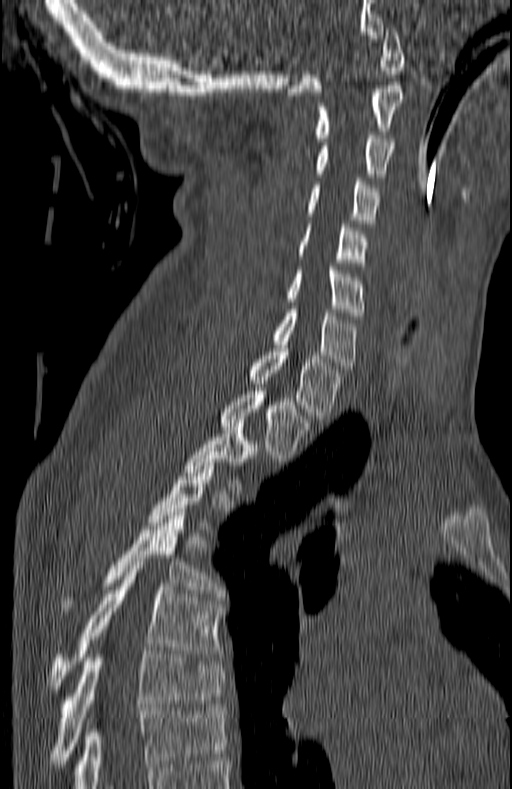 Computed tomography of the spine. sagittal reformat. Bone window (WL 400, WW 1800)
A vertebra gets a box only on the slices from the first to the last where its cross-section is at least a third of its largest; on a slice outside that range it gets none.
<vertebrae><v name="C1" x1="287" y1="28" x2="404" y2="95"/><v name="C2" x1="314" y1="85" x2="404" y2="141"/><v name="C3" x1="314" y1="135" x2="393" y2="177"/><v name="C4" x1="305" y1="181" x2="381" y2="227"/><v name="C5" x1="297" y1="224" x2="367" y2="269"/><v name="C6" x1="285" y1="270" x2="364" y2="319"/><v name="C7" x1="271" y1="309" x2="358" y2="369"/><v name="T1" x1="246" y1="348" x2="341" y2="419"/><v name="T2" x1="220" y1="388" x2="313" y2="461"/><v name="T3" x1="186" y1="427" x2="259" y2="493"/><v name="T5" x1="61" y1="512" x2="225" y2="611"/><v name="T6" x1="49" y1="565" x2="222" y2="692"/><v name="T7" x1="49" y1="651" x2="225" y2="767"/></vertebrae>